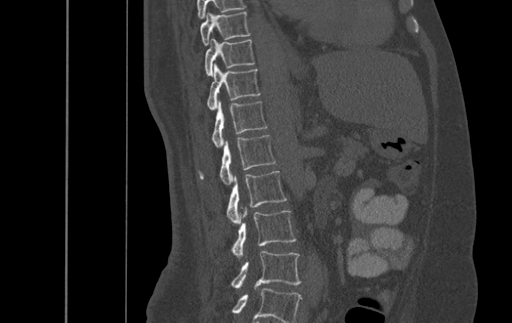 CT, spine. sagittal view. 500 mm wide. W/L 1800/400 HU
In this scan, the topmost labeled vertebra is T9 and the lowest is L4.
<vertebrae><v name="L4" x1="232" y1="251" x2="301" y2="290"/><v name="L3" x1="232" y1="209" x2="296" y2="258"/><v name="L2" x1="226" y1="171" x2="287" y2="223"/><v name="L1" x1="199" y1="135" x2="275" y2="184"/><v name="T12" x1="212" y1="100" x2="266" y2="146"/><v name="T11" x1="207" y1="63" x2="260" y2="110"/><v name="T10" x1="205" y1="38" x2="254" y2="76"/><v name="T9" x1="200" y1="11" x2="250" y2="45"/></vertebrae>